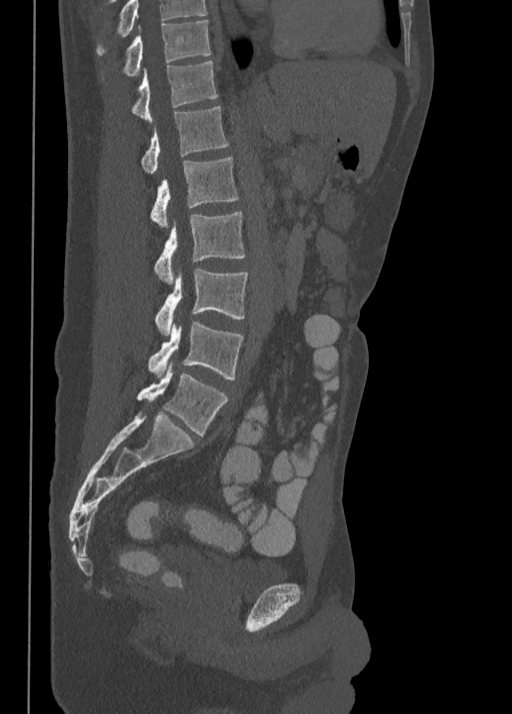

CT spine. sagittal reformat
Boxes are given in columns x1, y1, x2, y2, the pixel coordinates of their top-left and bottom-right corners.
This scan's labels start at T10 at the top and end at L5 at the bottom.
| vertebra | x1 | y1 | x2 | y2 |
|---|---|---|---|---|
| T10 | 124 | 20 | 211 | 75 |
| T11 | 131 | 61 | 217 | 121 |
| T12 | 142 | 107 | 228 | 174 |
| L1 | 150 | 157 | 239 | 227 |
| L2 | 153 | 212 | 245 | 282 |
| L3 | 155 | 269 | 247 | 335 |
| L4 | 148 | 321 | 243 | 379 |
| L5 | 137 | 362 | 227 | 436 |